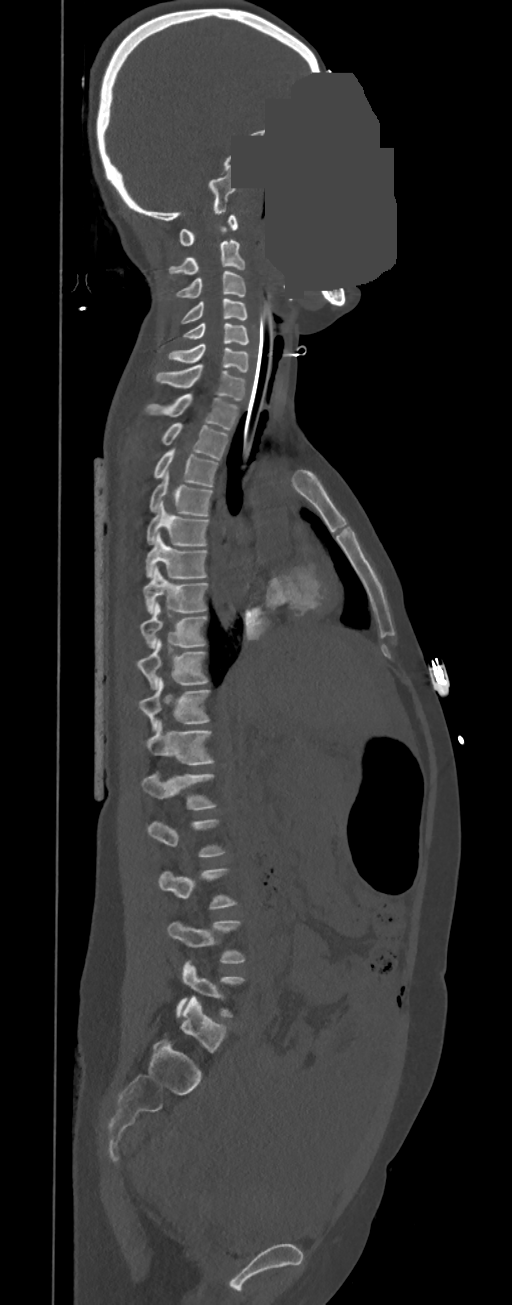

CT. sagittal reformat. a uniform gray block covers part of the image

Boxes: x1 y1 x2 y2 (pixel coords, space-separated).
Each vertebra is boxed only on the slices from the first to the last where its cross-section reaches a third of its largest, so a slice outside that range leaves it unboxed.
In these labels the spine has no T12: the thoracic vertebrae end at T11, and L1 comes next.
Vertebra bounding boxes:
- C1: 179 215 237 245
- C2: 168 241 245 274
- C3: 175 270 245 298
- C4: 181 299 247 324
- C5: 183 323 249 344
- C6: 168 344 249 372
- C7: 155 365 246 401
- T1: 146 394 237 430
- T2: 162 423 228 460
- T3: 153 448 218 486
- T4: 149 470 212 516
- T5: 146 500 208 545
- T6: 145 532 206 578
- T7: 143 566 208 614
- T8: 139 602 206 648
- T9: 136 639 208 689
- T10: 139 678 209 731
- T11: 145 720 212 765
- L1: 141 772 214 810
- L4: 168 920 245 963